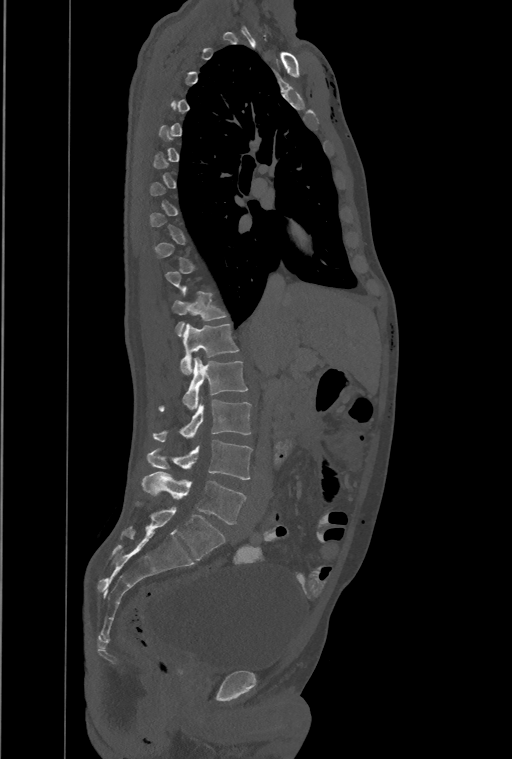 Spine CT; sagittal view

Each box given as x1,y1,x2,y2. A vertebra gets a box only on the slices from the first to the last where its cross-section is at least a third of its largest; on a slice outside that range it gets none. In this scan, the topmost labeled vertebra is T1 and the lowest is L4. In these labels the spine has a T13, a thirteenth thoracic vertebra, between T12 and L1. The labeled vertebrae in this slice are: T12 at x1=172, y1=292, x2=225, y2=335, T13 at x1=181, y1=324, x2=238, y2=375, L1 at x1=160, y1=357, x2=247, y2=410, L2 at x1=153, y1=400, x2=251, y2=441, L3 at x1=147, y1=440, x2=252, y2=479, L4 at x1=142, y1=471, x2=245, y2=524.